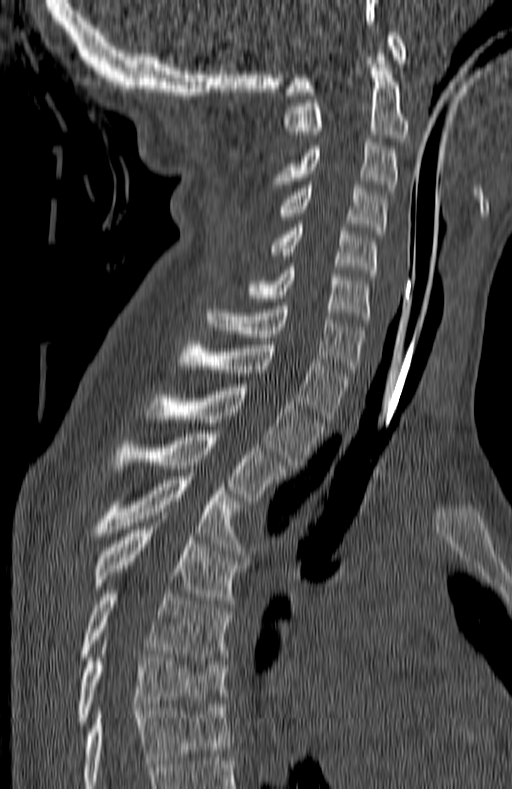 CT, spine · the image spans 180 mm across · sagittal reformat
Box edges are left/top/right/bottom in pixels.
Labels in this scan begin with C1 at the top and end with T7 at the bottom.
Vertebra bounding boxes:
- C1: left=285, top=32, right=405, bottom=95
- C2: left=285, top=53, right=407, bottom=141
- C3: left=273, top=139, right=398, bottom=191
- C4: left=271, top=185, right=387, bottom=234
- C5: left=268, top=224, right=375, bottom=276
- C6: left=246, top=267, right=370, bottom=323
- C7: left=206, top=306, right=364, bottom=372
- T1: left=180, top=341, right=350, bottom=422
- T2: left=146, top=384, right=321, bottom=468
- T3: left=112, top=430, right=284, bottom=500
- T4: left=89, top=476, right=239, bottom=547
- T5: left=92, top=526, right=236, bottom=603
- T6: left=81, top=590, right=227, bottom=660
- T7: left=78, top=654, right=227, bottom=724